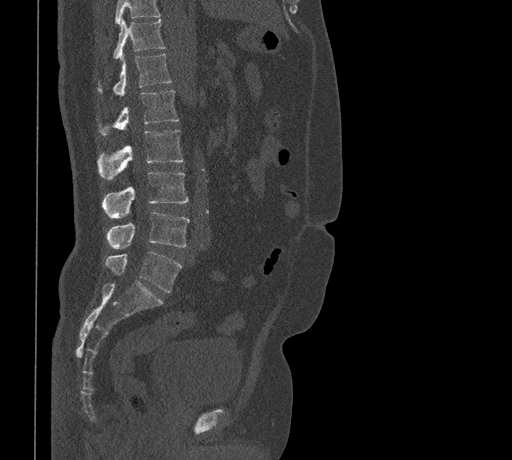

Spine CT. sagittal view. Each box given as x1,y1,x2,y2.
Vertebrae that run past the top of the scan are left unlabeled.
Vertebra bounding boxes:
- T11: x1=113, y1=19, x2=165, y2=58
- T12: x1=98, y1=53, x2=171, y2=96
- L1: x1=99, y1=90, x2=179, y2=135
- L2: x1=98, y1=130, x2=183, y2=179
- L3: x1=102, y1=172, x2=188, y2=218
- L4: x1=107, y1=211, x2=189, y2=248
- L5: x1=105, y1=252, x2=182, y2=292